CT. sagittal view. Bone window (WL 400, WW 1800). 512x705 px
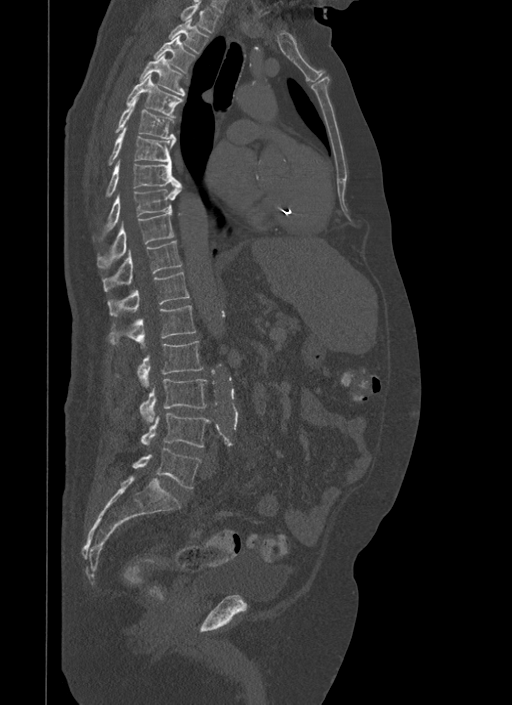 Coordinates as <box>x1,y1,x2,y2</box>. Vertebrae labeled: L5 at <box>133,447,201,488</box>, L4 at <box>141,413,210,446</box>, L3 at <box>140,378,207,423</box>, L2 at <box>138,341,203,387</box>, L1 at <box>108,305,196,348</box>, T12 at <box>107,271,190,315</box>, T11 at <box>102,241,182,291</box>, T10 at <box>97,213,174,268</box>, T9 at <box>103,184,182,233</box>, T8 at <box>106,160,181,196</box>, T7 at <box>108,127,175,165</box>, T6 at <box>115,96,174,138</box>, T5 at <box>125,74,183,118</box>, T4 at <box>139,53,185,95</box>, T3 at <box>154,35,195,73</box>, T2 at <box>169,18,208,53</box>, T1 at <box>180,1,218,33</box>.